CT · sagittal view · 173 mm wide · W/L 1800/400 HU · part of the image has been replaced by a constant value
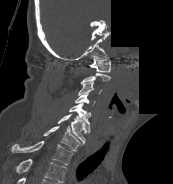

Coordinates as <box>x1,y1,x2,y2</box>.
Labels in this scan begin with C1 at the top and end with T1 at the bottom.
T1: <box>11,140,73,165</box>
C7: <box>43,126,81,151</box>
C6: <box>57,114,86,144</box>
C5: <box>69,102,90,132</box>
C4: <box>75,91,95,106</box>
C3: <box>78,82,101,95</box>
C2: <box>80,73,111,83</box>
C1: <box>89,57,110,72</box>